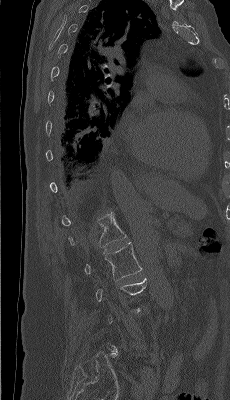
CT; sagittal view; W/L 1800/400 HU; 230x400 px; image 230 mm wide
Each vertebra is boxed only on the slices from the first to the last where its cross-section reaches a third of its largest, so a slice outside that range leaves it unboxed.
<vertebrae><v name="L2" x1="84" y1="242" x2="142" y2="280"/><v name="L1" x1="68" y1="211" x2="126" y2="249"/></vertebrae>